CT — sagittal plane, index 220 — bone window
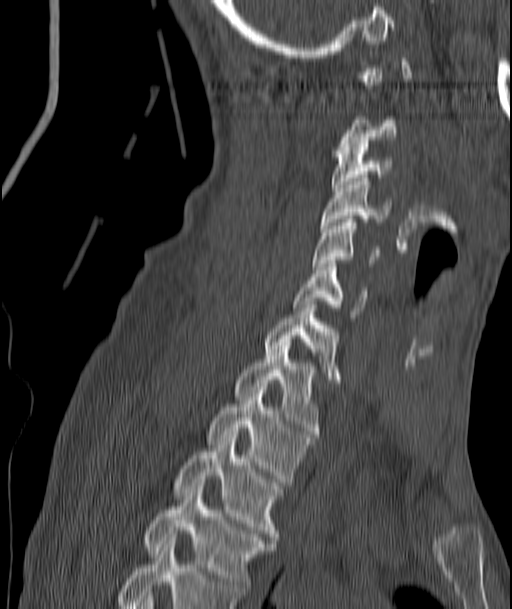
Each vertebra maps to its box as [x1, y1, x2, y2], the pixel coordinates of its top-left and bottom-right corners.
A vertebra is boxed only from the first to the last slice where its cross-section is at least a third of its largest; slices outside that range leave it without a box.
{"vertebrae":{"C3":[332,144,391,191],"C4":[321,178,391,228],"C5":[313,219,378,266],"C6":[294,264,367,317],"C7":[264,301,339,382],"T1":[234,339,320,437],"T2":[206,390,315,485],"T3":[173,431,282,543],"T4":[143,486,274,595]}}